Spine CT — sagittal reformat — 380x640 px — scan covers 18 annotated vertebrae
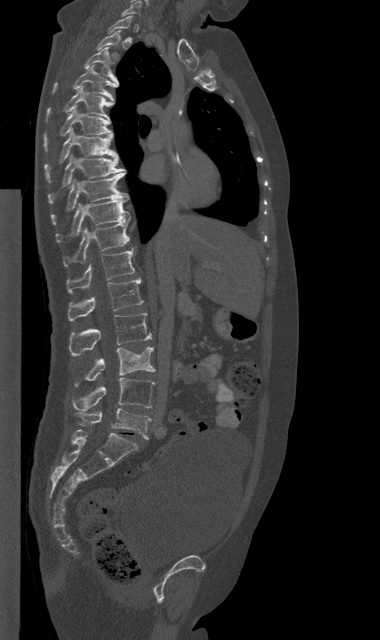
Not every vertebra on this slice has a box: a vertebra is boxed only from the first to the last slice where its cross-section is at least a third of its largest, and this slice is outside that range for at least one of them.
<vertebrae><v name="C7" x1="122" y1="1" x2="141" y2="15"/><v name="T2" x1="97" y1="30" x2="120" y2="57"/><v name="T3" x1="85" y1="47" x2="118" y2="84"/><v name="T4" x1="52" y1="66" x2="117" y2="100"/><v name="T5" x1="46" y1="85" x2="113" y2="121"/><v name="T6" x1="43" y1="107" x2="113" y2="149"/><v name="T7" x1="45" y1="129" x2="118" y2="182"/><v name="T8" x1="48" y1="154" x2="126" y2="201"/><v name="T9" x1="51" y1="172" x2="129" y2="223"/><v name="T10" x1="56" y1="198" x2="131" y2="241"/><v name="T11" x1="63" y1="220" x2="129" y2="265"/><v name="T12" x1="66" y1="248" x2="134" y2="293"/><v name="L1" x1="68" y1="278" x2="143" y2="321"/><v name="L2" x1="69" y1="313" x2="151" y2="355"/><v name="L3" x1="75" y1="347" x2="155" y2="386"/><v name="L4" x1="73" y1="377" x2="154" y2="410"/><v name="L5" x1="75" y1="408" x2="150" y2="439"/></vertebrae>